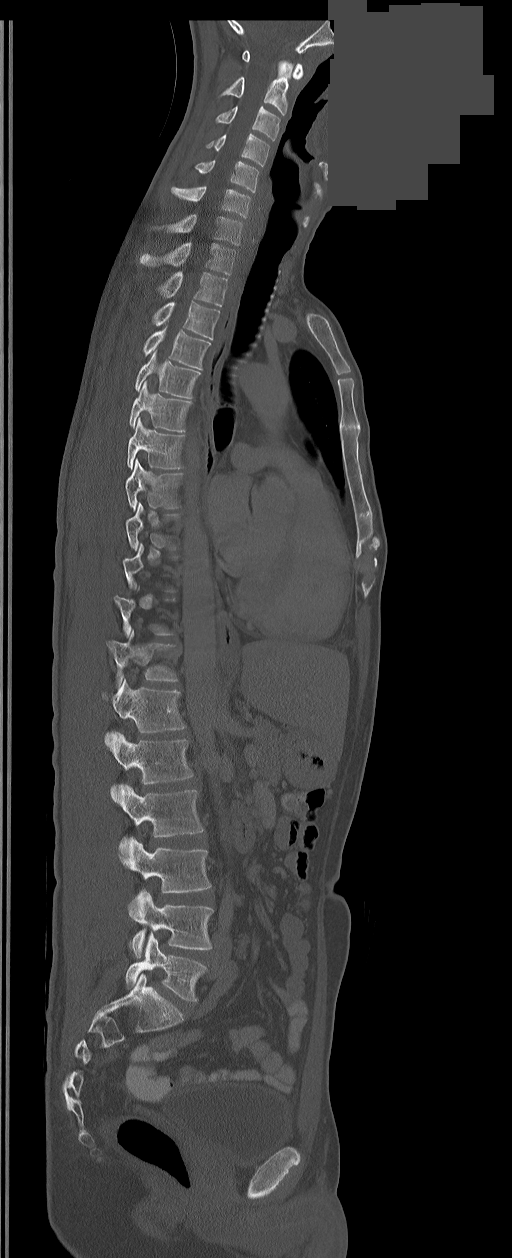 CT · sagittal view · 512x1258 px · a region of this slice is masked with a uniform fill
Boxes are (x1, y1, x2, y2) in pixels.
A vertebra is boxed only from the first to the last slice where its cross-section is at least a third of its largest; slices outside that range leave it without a box.
These labels give the spine a sixth lumbar vertebra, L6, below L5.
Vertebra bounding boxes:
- C1: (242, 50, 302, 79)
- C2: (221, 61, 292, 115)
- C3: (217, 106, 280, 140)
- C4: (206, 133, 268, 166)
- C5: (195, 160, 258, 192)
- C6: (171, 186, 249, 217)
- C7: (167, 214, 242, 245)
- T1: (139, 243, 235, 274)
- T2: (158, 272, 227, 306)
- T3: (152, 302, 219, 339)
- T4: (144, 328, 210, 369)
- T5: (135, 350, 200, 399)
- T6: (129, 382, 191, 432)
- T7: (127, 417, 184, 469)
- T8: (125, 460, 182, 510)
- T12: (107, 629, 178, 685)
- L1: (103, 679, 185, 732)
- L2: (108, 732, 192, 796)
- L3: (117, 784, 204, 845)
- L4: (120, 838, 211, 893)
- L5: (129, 890, 213, 957)
- L6: (126, 932, 205, 1001)